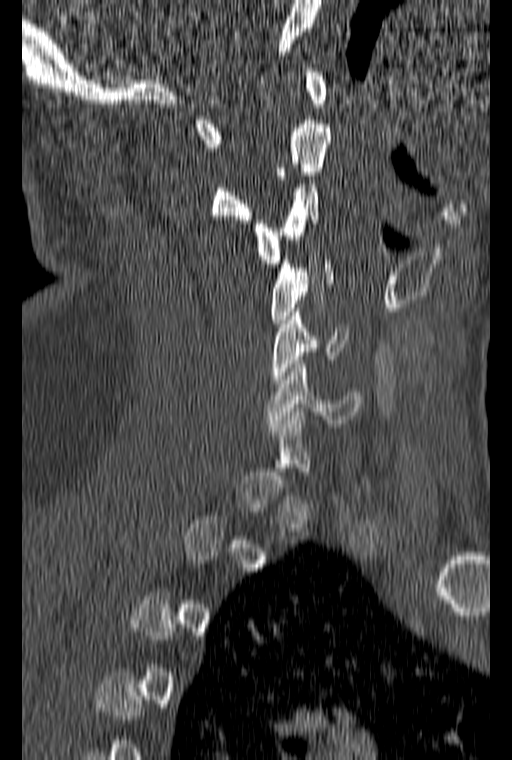
CT spine; sagittal view; W/L 1800/400 HU
A vertebra is boxed only from the first to the last slice where its cross-section is at least a third of its largest; slices outside that range leave it without a box.
<vertebrae><v name="C6" x1="266" y1="356" x2="362" y2="427"/><v name="C5" x1="271" y1="308" x2="348" y2="383"/><v name="C4" x1="271" y1="256" x2="333" y2="323"/><v name="C3" x1="252" y1="176" x2="320" y2="263"/><v name="C2" x1="210" y1="120" x2="330" y2="223"/><v name="C1" x1="195" y1="68" x2="327" y2="147"/></vertebrae>